Spine computed tomography — sagittal reformat — Bone window (WL 400, WW 1800) — image width 160 mm — 10 vertebrae labeled in this scan
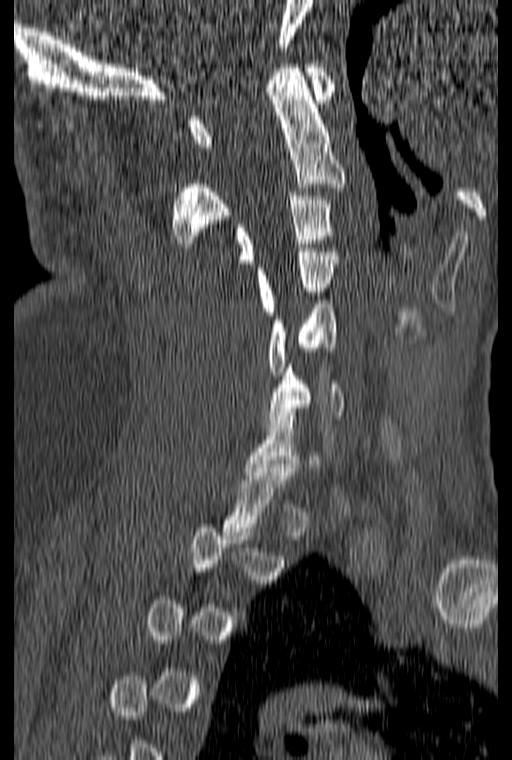
Each vertebra is boxed only on the slices from the first to the last where its cross-section reaches a third of its largest, so a slice outside that range leaves it unboxed.
<vertebrae><v name="C1" x1="189" y1="64" x2="334" y2="147"/><v name="C2" x1="172" y1="64" x2="344" y2="247"/><v name="C3" x1="236" y1="192" x2="334" y2="263"/><v name="C4" x1="257" y1="248" x2="337" y2="315"/><v name="C5" x1="267" y1="300" x2="336" y2="379"/><v name="C6" x1="264" y1="364" x2="345" y2="427"/></vertebrae>